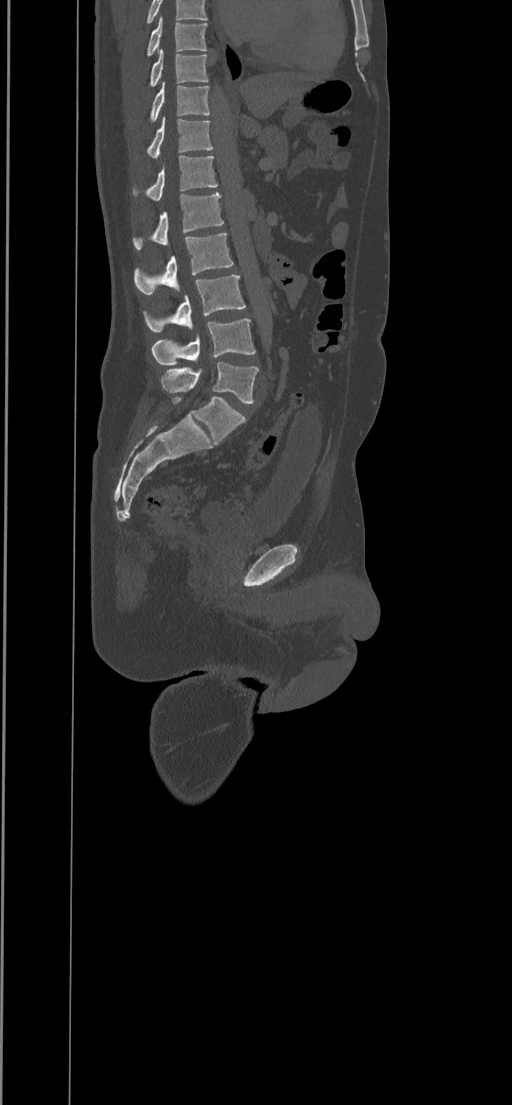
Spine computed tomography — sagittal reformat — 434 mm wide — 512x1105 px. Bounding boxes as [x1, y1, x2, y2] in pixel coordinates.
This scan's labels start at T8 at the top and end at L5 at the bottom.
T8: [146, 17, 207, 55]
T9: [150, 49, 208, 86]
T10: [150, 82, 210, 122]
T11: [146, 117, 212, 158]
T12: [132, 155, 217, 202]
L1: [133, 192, 223, 250]
L2: [134, 233, 234, 294]
L3: [144, 275, 245, 331]
L4: [151, 319, 255, 364]
L5: [161, 362, 258, 404]